CT — Sagittal slice 109/187 — 187x269 px — scan covers 7 annotated vertebrae
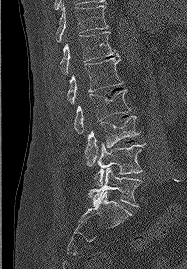

Bounding boxes as [x1, y1, x2, y2] in pixel coordinates.
L5: [89, 168, 141, 206]
L4: [95, 143, 145, 185]
L3: [85, 116, 138, 165]
L2: [74, 90, 130, 133]
L1: [67, 56, 122, 104]
T12: [60, 32, 118, 74]
T11: [56, 5, 108, 41]